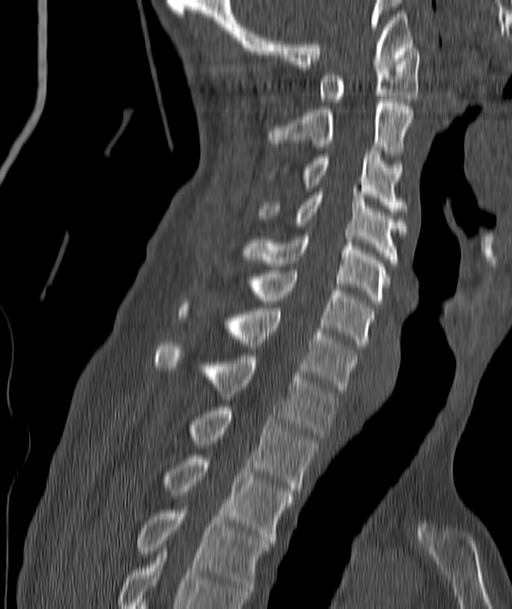 Spine CT; sagittal view; W/L 1800/400 HU
Each box is [x1, y1, x2, y2] in pixels: top-left corner, then bottom-right corner.
{"vertebrae":{"C1":[318,44,419,102],"C2":[269,99,413,160],"C3":[269,151,405,215],"C4":[261,192,405,263],"C5":[245,233,389,304],"C6":[253,270,372,348],"C7":[179,305,356,393],"T1":[154,342,337,437],"T2":[190,407,317,492],"T3":[165,455,293,543],"T4":[138,507,271,598]}}